Spine CT · the image spans 140 mm across · Sagittal slice 345/512 · 12 vertebrae labeled in this scan
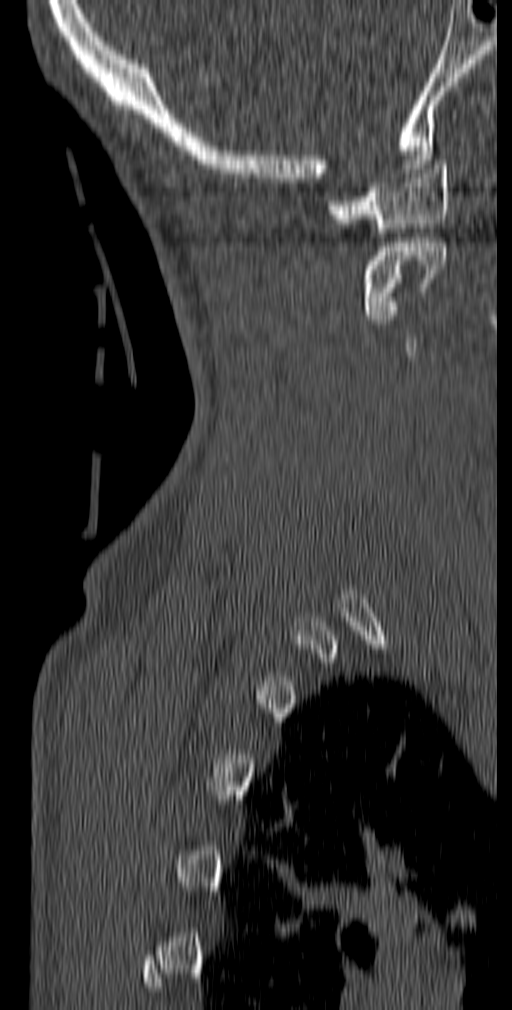 <vertebrae><v name="C2" x1="360" y1="238" x2="447" y2="319"/><v name="C1" x1="327" y1="160" x2="450" y2="232"/></vertebrae>